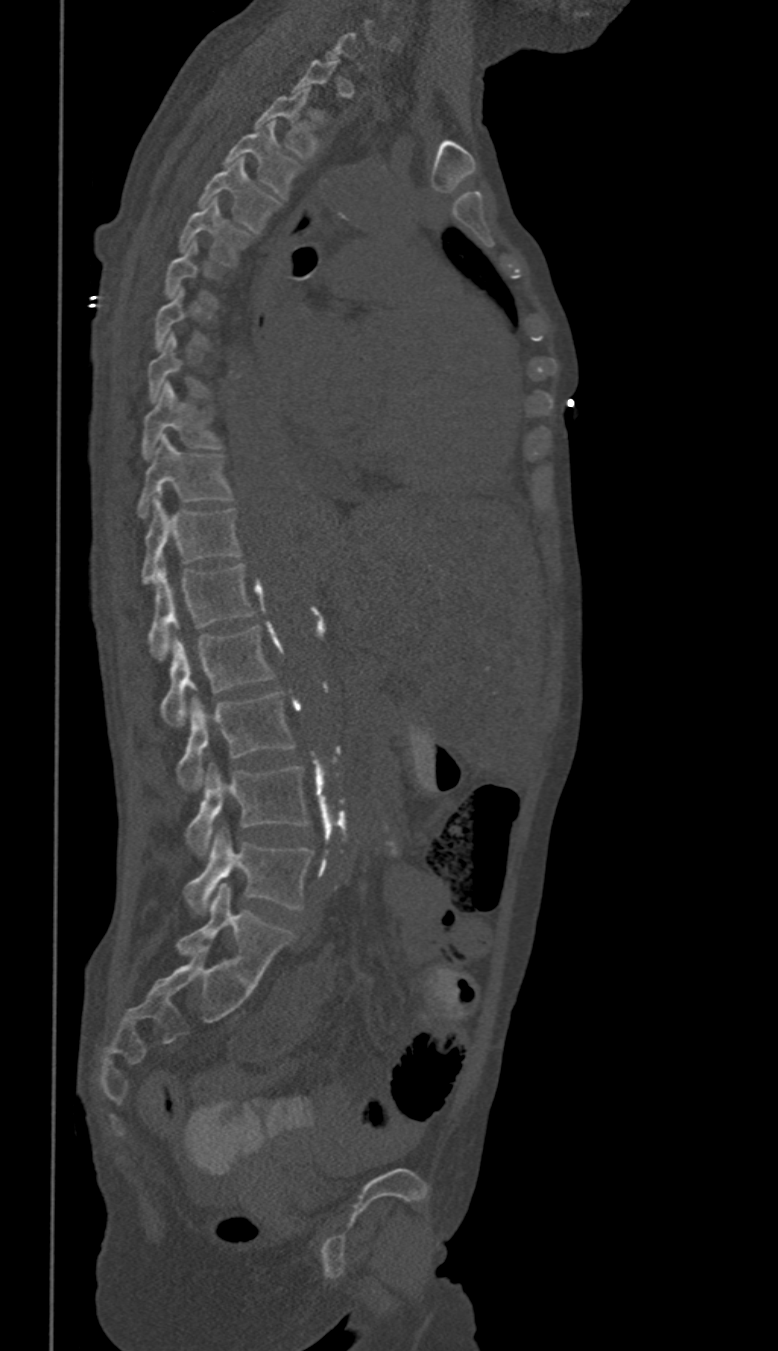
CT, spine; sagittal view; bone window. Boxes are (x1, y1, x2, y2) in pixels.
Not every vertebra on this slice has a box: a vertebra is boxed only from the first to the last slice where its cross-section is at least a third of its largest, and this slice is outside that range for at least one of them.
In these labels the thoracic vertebrae end at T11, so L1 follows T11.
Vertebra bounding boxes:
- T2: (255, 89, 316, 157)
- T3: (225, 120, 298, 197)
- T4: (199, 158, 279, 231)
- T5: (179, 200, 250, 266)
- T8: (149, 334, 207, 402)
- T9: (141, 383, 221, 459)
- T10: (137, 436, 231, 517)
- T11: (141, 498, 241, 584)
- L1: (149, 563, 253, 659)
- L2: (160, 625, 272, 726)
- L3: (178, 692, 294, 791)
- L4: (187, 763, 307, 855)
- L5: (184, 827, 312, 915)